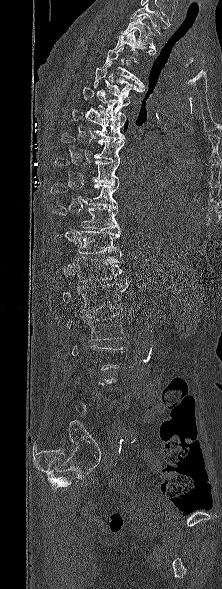 Spine CT. sagittal view. 222 mm across the image
Each box given as x1,y1,x2,y2.
Each vertebra is boxed only on the slices from the first to the last where its cross-section reaches a third of its largest, so a slice outside that range leaves it unboxed.
Labels in this scan begin with T1 at the top and end with L5 at the bottom.
T1: x1=121, y1=16, x2=156, y2=55
T2: x1=114, y1=30, x2=153, y2=63
T3: x1=103, y1=46, x2=145, y2=87
T4: x1=93, y1=64, x2=143, y2=98
T5: x1=82, y1=86, x2=130, y2=121
T6: x1=71, y1=109, x2=125, y2=141
T7: x1=61, y1=132, x2=124, y2=160
T8: x1=55, y1=157, x2=119, y2=184
T9: x1=51, y1=183, x2=118, y2=208
T10: x1=52, y1=207, x2=120, y2=231
T11: x1=56, y1=231, x2=122, y2=256
T12: x1=72, y1=256, x2=123, y2=282
L1: x1=62, y1=280, x2=128, y2=311
L2: x1=67, y1=313, x2=126, y2=340